CT — sagittal view — W/L 1800/400 HU
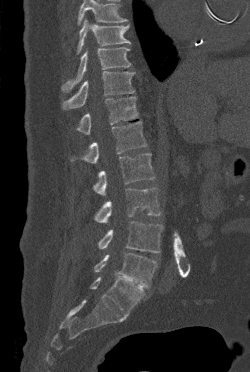 Boxes: x1:y1:x2:y2 in pixels. Vertebrae that run past the top of the scan are left unlabeled. Vertebrae labeled: L5 at 94:253:157:288, L4 at 98:221:163:252, L3 at 94:188:160:223, L2 at 93:153:155:195, L1 at 70:121:146:163, T12 at 76:96:138:134, T11 at 62:71:134:109, T10 at 62:47:131:91, T9 at 77:19:130:53.